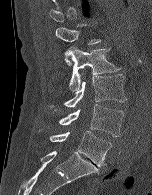

Spine CT; sagittal reformat; 152 mm image width; bone window
Coordinates as <box>x1,y1,x2,y2</box>. Each vertebra is boxed only on the slices from the first to the last where its cross-section reaches a third of its largest, so a slice outside that range leaves it unboxed. The labeled vertebrae in this slice are: L1 at <box>55,24,101,65</box>, L2 at <box>64,47,121,91</box>, L3 at <box>50,74,126,110</box>, L4 at <box>59,104,124,137</box>, L5 at <box>38,130,111,166</box>.